CT spine. image 140 mm wide. sagittal plane, index 242. 512x923 px. scan covers 11 annotated vertebrae
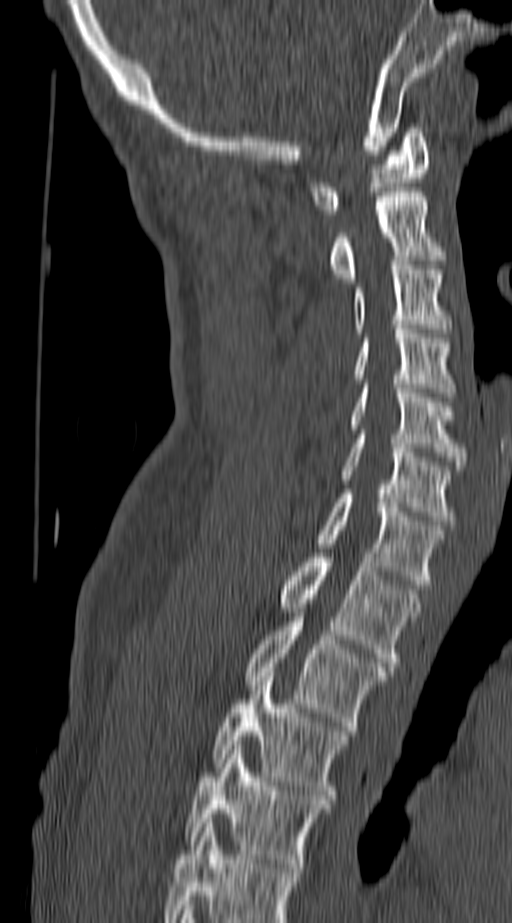

Bounding boxes as [x1, y1, x2, y2] in pixel coordinates.
The highest labeled vertebra in this scan is C1; the lowest is T4.
Vertebra bounding boxes:
- T4: [188, 745, 326, 868]
- T3: [213, 672, 348, 799]
- T2: [246, 613, 384, 730]
- T1: [279, 553, 421, 666]
- C7: [320, 494, 443, 584]
- C6: [341, 434, 450, 525]
- C5: [352, 384, 465, 465]
- C4: [356, 329, 454, 397]
- C3: [353, 265, 447, 333]
- C2: [330, 192, 439, 282]
- C1: [312, 128, 428, 214]